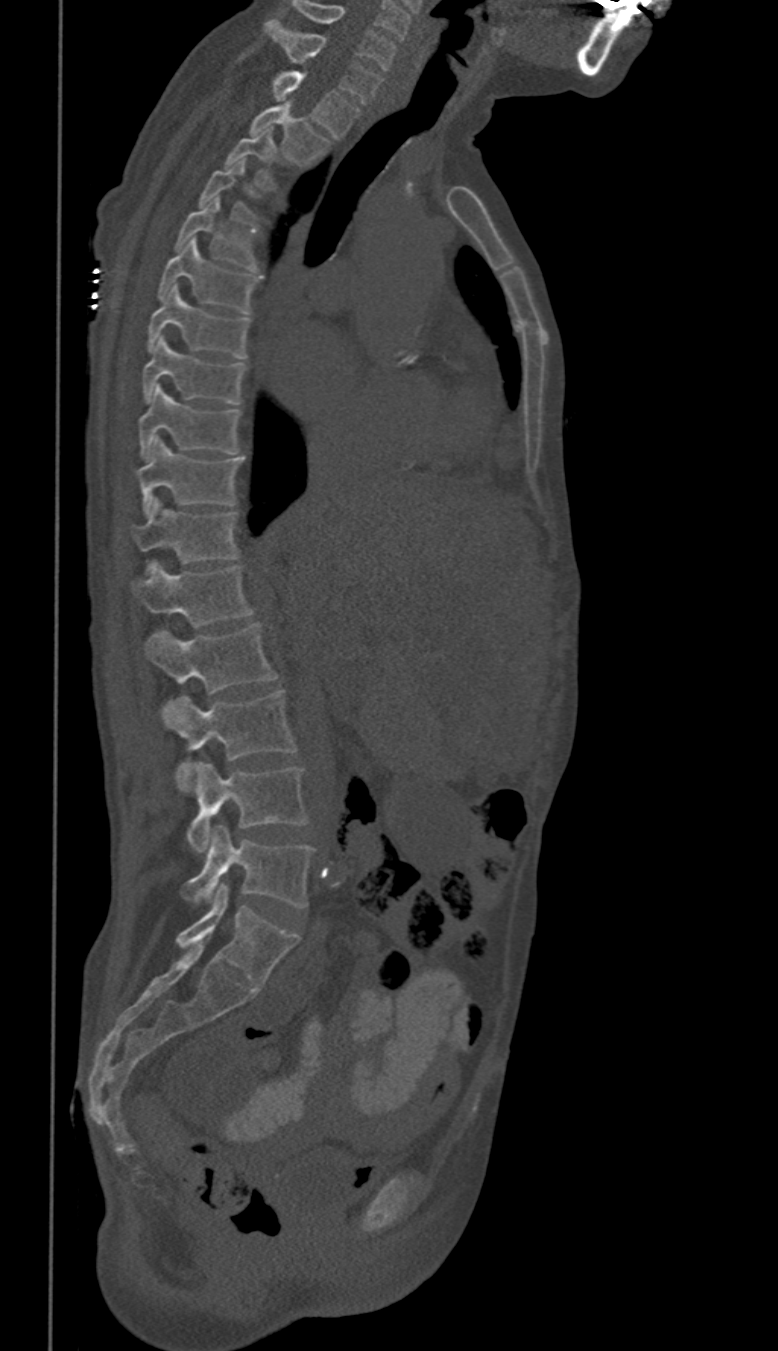
CT spine. sagittal view. bone-window reconstruction. image width 350 mm. 778x1351 px

Box values are [left, top, right, bottom] in pixels.
Not every vertebra on this slice has a box: a vertebra is boxed only from the first to the last slice where its cross-section is at least a third of its largest, and this slice is outside that range for at least one of them.
In these labels the spine has no T12: the thoracic vertebrae end at T11, and L1 comes next.
{"vertebrae":{"C6":[293,2,394,71],"C7":[266,20,380,104],"T1":[273,72,359,137],"T2":[251,103,327,164],"T3":[226,129,274,186],"T5":[175,198,256,268],"T6":[160,238,259,313],"T7":[149,285,248,357],"T8":[141,336,245,404],"T9":[137,387,239,459],"T10":[135,438,244,513],"T11":[134,500,239,562],"L1":[131,565,253,626],"L2":[144,623,277,693],"L3":[166,689,297,791],"L4":[187,763,307,853],"L5":[184,825,313,906]}}